CT · sagittal reformat · 269x269 px · scan covers 6 annotated vertebrae · the image spans 269 mm across
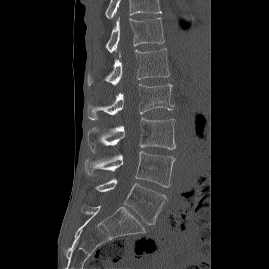
Boxes are given in columns x1, y1, x2, y2, the pixel coordinates of their top-left and bottom-right corners.
This scan's labels start at T12 at the top and end at L5 at the bottom.
| vertebra | x1 | y1 | x2 | y2 |
|---|---|---|---|---|
| T12 | 105 | 17 | 164 | 52 |
| L1 | 86 | 48 | 169 | 85 |
| L2 | 86 | 84 | 173 | 120 |
| L3 | 87 | 117 | 175 | 152 |
| L4 | 85 | 151 | 176 | 187 |
| L5 | 95 | 178 | 167 | 224 |